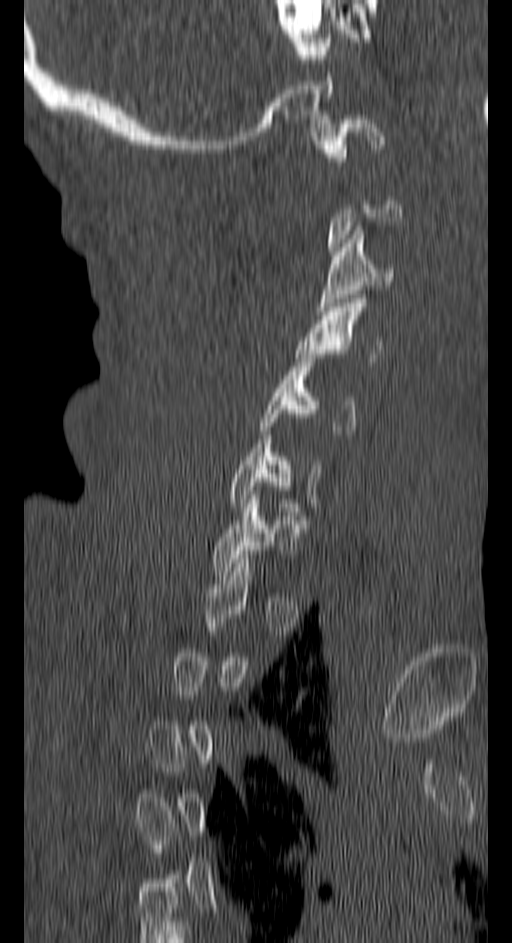 Spine CT. sagittal view
Each vertebra maps to its box as [x1, y1, x2, y2], the pixel coordinates of its top-left and bottom-right corners.
Each vertebra is boxed only on the slices from the first to the last where its cross-section reaches a third of its largest, so a slice outside that range leaves it unboxed.
{"vertebrae":{"C7":[213,495,298,575],"C6":[230,439,321,507],"C5":[261,354,355,434],"C4":[295,299,381,366],"C3":[316,226,393,310],"C1":[315,115,383,165]}}